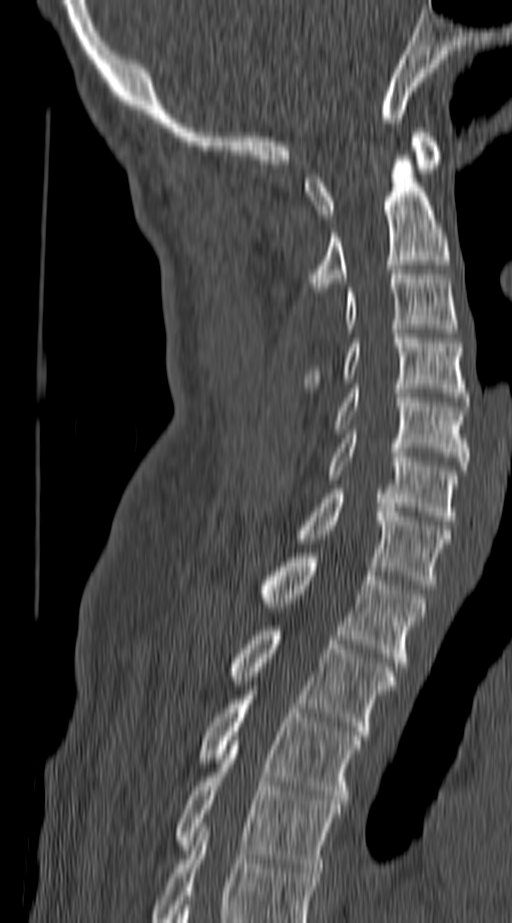

Spine computed tomography. sagittal view
Each box is [x1, y1, x2, y2] in pixels: top-left corner, then bottom-right corner.
The highest labeled vertebra in this scan is C1; the lowest is T4.
{"vertebrae":{"T4":[177,741,340,872],"T3":[199,695,359,804],"T2":[228,626,395,735],"T1":[261,553,425,666],"C7":[298,489,450,589],"C6":[327,434,457,525],"C5":[334,384,468,470],"C4":[305,334,468,401],"C3":[345,274,457,333],"C2":[309,155,450,292],"C1":[305,128,439,218]}}